CT spine — sagittal plane, index 253 — 512x478 px
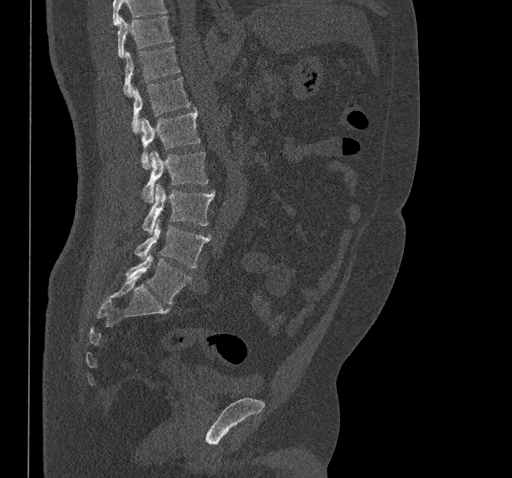 Vertebrae that run past the top of the scan are left unlabeled.
<vertebrae><v name="T10" x1="118" y1="16" x2="173" y2="57"/><v name="T11" x1="123" y1="46" x2="180" y2="96"/><v name="T12" x1="131" y1="77" x2="191" y2="133"/><v name="L1" x1="141" y1="107" x2="200" y2="168"/><v name="L2" x1="142" y1="151" x2="208" y2="203"/><v name="L3" x1="143" y1="185" x2="215" y2="233"/><v name="L4" x1="134" y1="220" x2="210" y2="267"/><v name="L5" x1="125" y1="255" x2="191" y2="304"/></vertebrae>